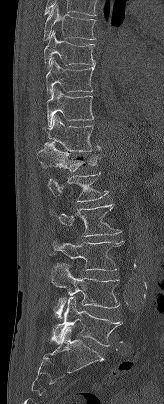
Spine CT — sagittal reformat — W/L 1800/400 HU
Each box is [x1, y1, x2, y2] in pixels: top-left corner, then bottom-right corner.
{"vertebrae":{"T7":[43,4,95,40],"T8":[44,31,95,68],"T9":[46,57,95,96],"T10":[46,88,94,126],"T11":[43,115,100,151],"T12":[37,142,98,171],"L1":[47,173,108,202],"L2":[49,204,121,236],"L3":[53,239,124,270],"L4":[52,263,120,319],"L5":[52,297,122,346]}}